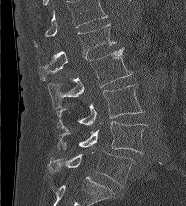
Spine computed tomography; the image spans 186 mm across; sagittal view. Each box given as x1,y1,x2,y2.
This scan's labels start at L1 at the top and end at L5 at the bottom.
L1: x1=38, y1=23, x2=116, y2=80
L2: x1=47, y1=48, x2=132, y2=109
L3: x1=56, y1=84, x2=143, y2=130
L4: x1=57, y1=121, x2=149, y2=153
L5: x1=49, y1=151, x2=134, y2=187